CT, spine — sagittal plane, index 245 — bone window — 512x759 px
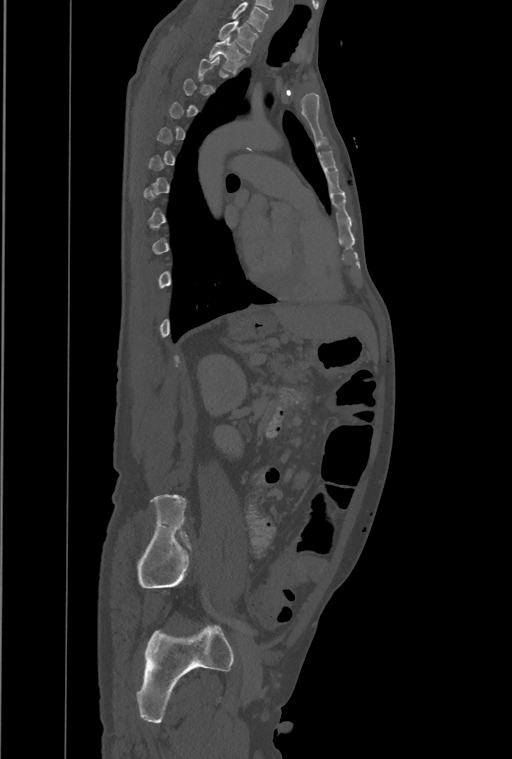

Box edges are left/top/right/bottom in pixels.
A vertebra gets a box only on the slices from the first to the last where its cross-section is at least a third of its largest; on a slice outside that range it gets none.
In this scan, the topmost labeled vertebra is T1 and the lowest is L4.
| vertebra | x1 | y1 | x2 | y2 |
|---|---|---|---|---|
| T2 | 208 | 37 | 244 | 74 |
| T1 | 218 | 20 | 257 | 53 |